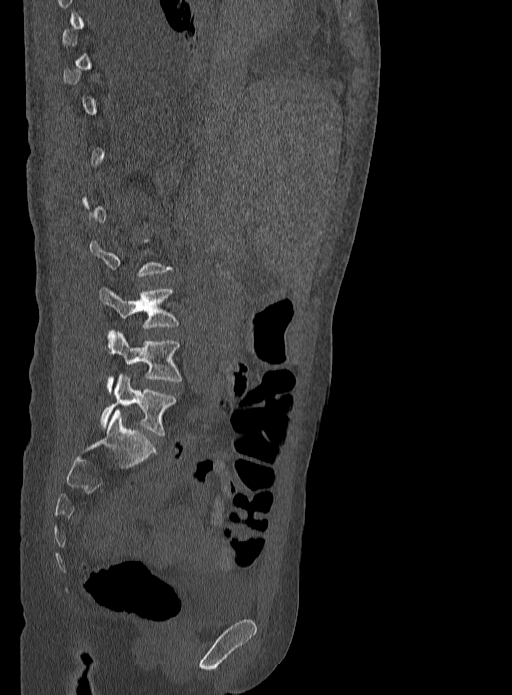
Spine computed tomography. sagittal view. Columns x1, y1, x2, y2 give each box's top-left and bottom-right pixels.
Not every vertebra on this slice has a box: a vertebra is boxed only from the first to the last slice where its cross-section is at least a third of its largest, and this slice is outside that range for at least one of them.
| vertebra | x1 | y1 | x2 | y2 |
|---|---|---|---|---|
| L3 | 98 | 288 | 179 | 328 |
| L4 | 107 | 331 | 182 | 393 |
| L5 | 100 | 374 | 176 | 436 |